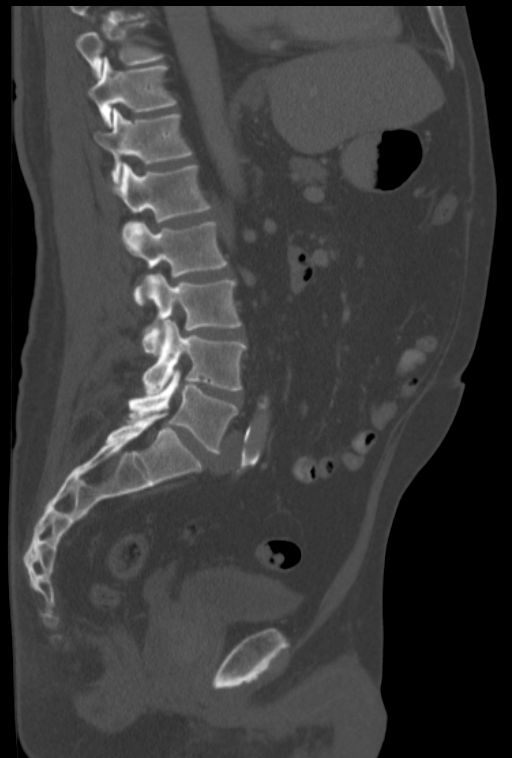 Computed tomography of the spine. sagittal view. the image spans 322 mm across. bone-window reconstruction
Each box is [x1, y1, x2, y2] in pixels: top-left corner, then bottom-right corner.
The highest labeled vertebra in this scan is T10; the lowest is L5.
{"vertebrae":{"L5":[128,369,238,454],"L4":[142,320,246,393],"L3":[142,274,241,355],"L2":[120,220,227,304],"L1":[111,164,211,222],"T12":[94,108,192,182],"T11":[88,58,176,126],"T10":[75,21,163,77]}}